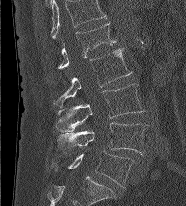

CT, spine. the image is 186 mm wide. sagittal view
Labels in this scan begin with L1 at the top and end with L5 at the bottom.
<vertebrae><v name="L1" x1="58" y1="23" x2="116" y2="68"/><v name="L2" x1="53" y1="48" x2="132" y2="107"/><v name="L3" x1="55" y1="84" x2="143" y2="131"/><v name="L4" x1="58" y1="122" x2="149" y2="154"/><v name="L5" x1="68" y1="150" x2="134" y2="187"/></vertebrae>